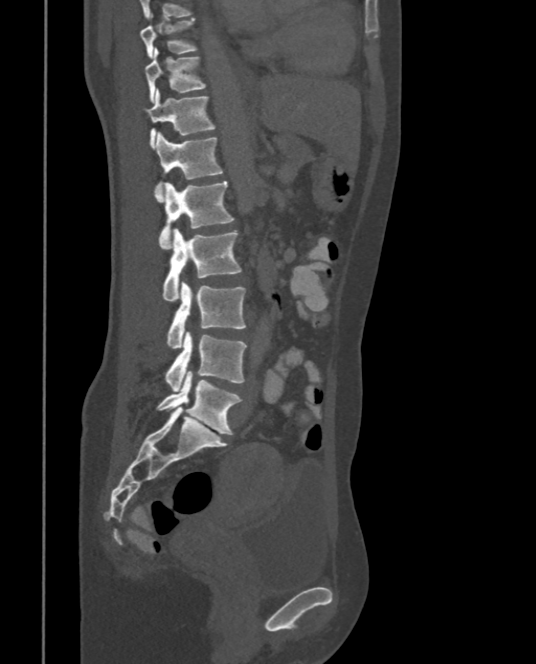 CT; 375 mm across the image; sagittal reformat

This scan's labels start at T9 at the top and end at L5 at the bottom.
<vertebrae><v name="T9" x1="140" y1="18" x2="196" y2="57"/><v name="T10" x1="144" y1="48" x2="204" y2="102"/><v name="T11" x1="141" y1="90" x2="215" y2="147"/><v name="T12" x1="154" y1="131" x2="223" y2="200"/><v name="L1" x1="158" y1="181" x2="233" y2="249"/><v name="L2" x1="162" y1="227" x2="241" y2="302"/><v name="L3" x1="167" y1="280" x2="246" y2="349"/><v name="L4" x1="165" y1="331" x2="246" y2="392"/><v name="L5" x1="157" y1="371" x2="242" y2="435"/></vertebrae>